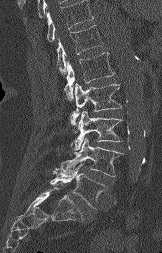

Spine computed tomography; sagittal reformat; W/L 1800/400 HU

Box edges are left/top/right/bottom in pixels.
Where the top of the scan cuts through a vertebra, that vertebra gets no label or box.
L5: left=50, top=164, right=105, bottom=208
L4: left=59, top=138, right=122, bottom=176
L3: left=71, top=110, right=122, bottom=150
L2: left=70, top=83, right=121, bottom=125
L1: left=64, top=52, right=114, bottom=100
T12: left=57, top=25, right=103, bottom=73